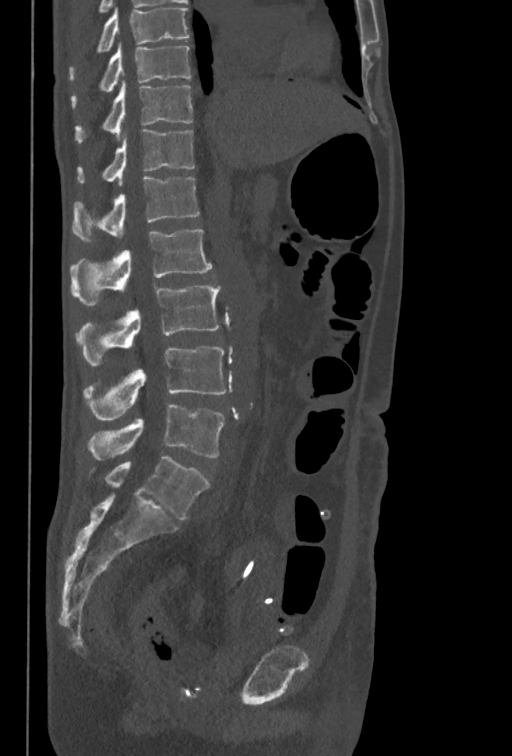
Spine computed tomography — sagittal reformat — 512x756 px
Box edges are left/top/right/bottom in pixels. In this scan, the topmost labeled vertebra is T10 and the lowest is L5. 8 vertebrae labeled — T10 at left=71, top=43, right=190, bottom=107; T11 at left=74, top=82, right=192, bottom=143; T12 at left=77, top=129, right=195, bottom=185; L1 at left=72, top=176, right=199, bottom=241; L2 at left=70, top=229, right=212, bottom=306; L3 at left=76, top=284, right=221, bottom=365; L4 at left=83, top=346, right=227, bottom=420; L5 at left=88, top=404, right=224, bottom=460.